CT; 461 mm image width; Sagittal slice 283/512
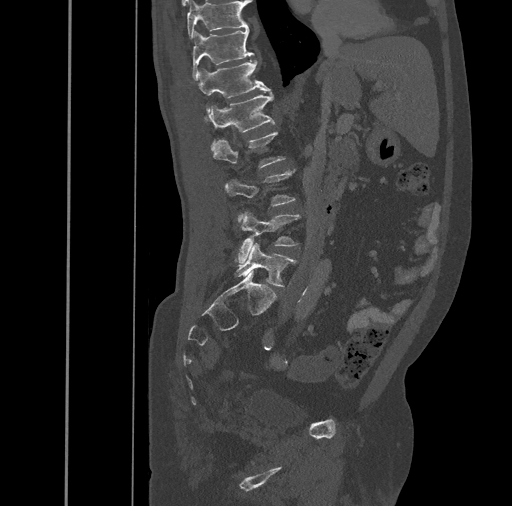 Each box is [x1, y1, x2, y2] in pixels: top-left corner, then bottom-right corner.
{"vertebrae":{"T10":[187,0,248,38],"T11":[192,27,253,80],"T12":[199,59,270,113],"L1":[209,92,275,150],"L2":[213,132,286,167],"L3":[225,168,295,222],"L4":[234,212,301,262],"L5":[235,243,296,287]}}